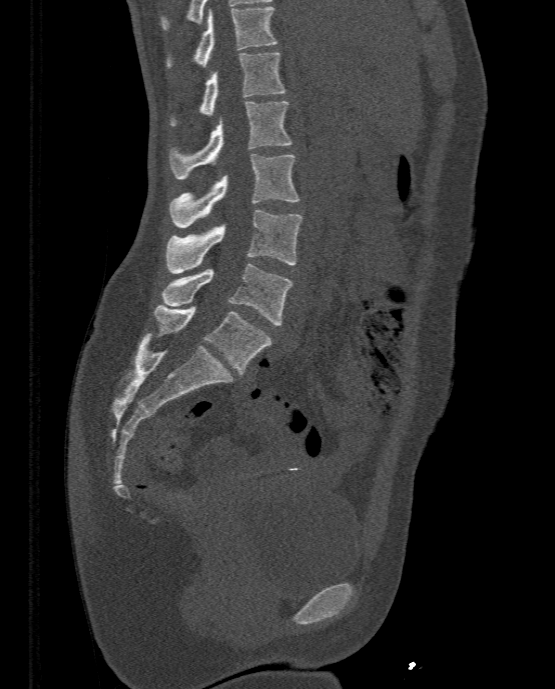
Spine CT. 333 mm image width. sagittal reformat. Bone window (WL 400, WW 1800)
<vertebrae><v name="T11" x1="166" y1="6" x2="276" y2="67"/><v name="T12" x1="169" y1="52" x2="285" y2="126"/><v name="L1" x1="170" y1="101" x2="292" y2="179"/><v name="L2" x1="168" y1="154" x2="298" y2="227"/><v name="L3" x1="166" y1="210" x2="303" y2="273"/><v name="L4" x1="162" y1="263" x2="293" y2="325"/><v name="L5" x1="155" y1="304" x2="272" y2="373"/></vertebrae>